CT, spine. sagittal view
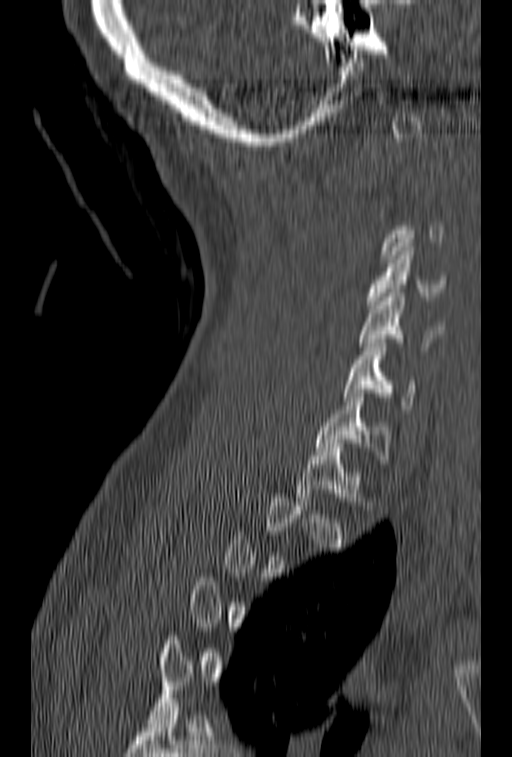

Bounding boxes as [x1, y1, x2, y2] in pixel coordinates.
Each vertebra is boxed only on the slices from the first to the last where its cross-section reaches a third of its largest, so a slice outside that range leaves it unboxed.
C4: [366, 247, 448, 309]
C5: [359, 293, 443, 350]
C6: [343, 343, 415, 413]
C7: [316, 393, 391, 459]